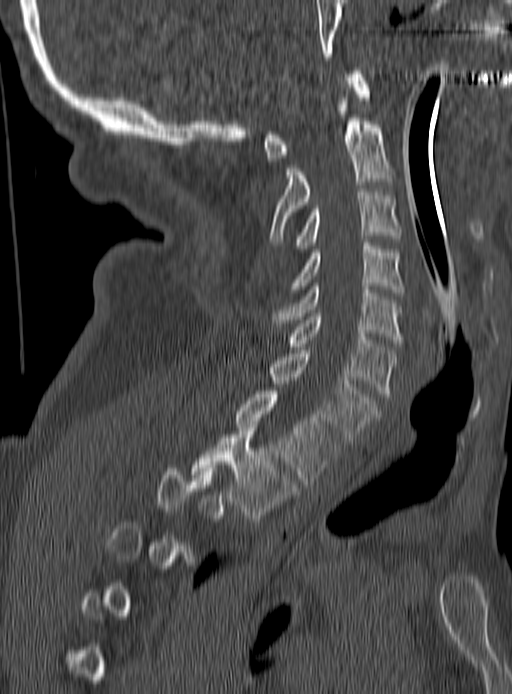

Spine computed tomography; sagittal view; 512x694 px. Boxes: x1:y1:x2:y2 in pixels. Not every vertebra on this slice has a box: a vertebra is boxed only from the first to the last slice where its cross-section is at least a third of its largest, and this slice is outside that range for at least one of them. The labeled vertebrae in this slice are: C1 at 264:71:369:161, C2 at 270:98:393:242, C3 at 296:189:401:252, C4 at 292:243:404:295, C5 at 272:283:404:343, C6 at 289:313:396:396, C7 at 270:350:377:444, T1 at 235:391:339:484, T2 at 192:424:296:518.